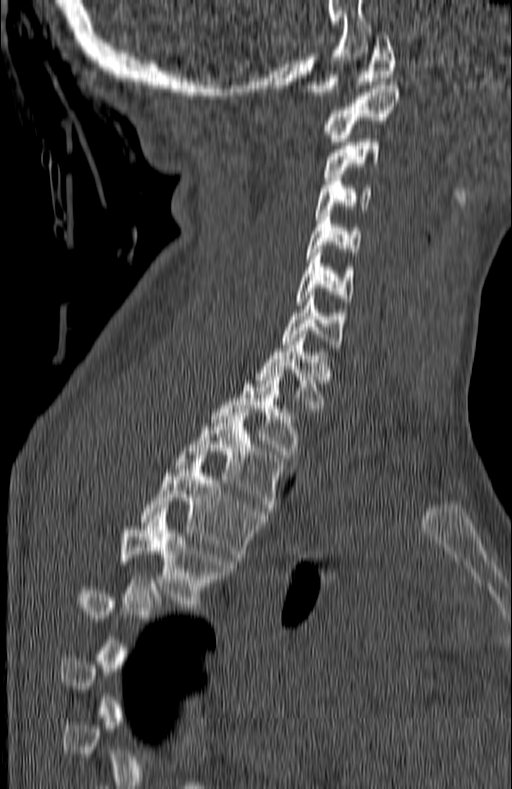
Computed tomography of the spine — sagittal reformat — image width 180 mm
A vertebra gets a box only on the slices from the first to the last where its cross-section is at least a third of its largest; on a slice outside that range it gets none.
<vertebrae><v name="C1" x1="305" y1="32" x2="395" y2="95"/><v name="C2" x1="325" y1="85" x2="398" y2="141"/><v name="C3" x1="323" y1="139" x2="381" y2="180"/><v name="C4" x1="315" y1="181" x2="373" y2="216"/><v name="C5" x1="305" y1="217" x2="361" y2="259"/><v name="C6" x1="297" y1="249" x2="353" y2="305"/><v name="C7" x1="283" y1="299" x2="344" y2="351"/><v name="T1" x1="255" y1="334" x2="333" y2="415"/><v name="T2" x1="211" y1="373" x2="304" y2="458"/><v name="T3" x1="174" y1="412" x2="287" y2="511"/><v name="T4" x1="140" y1="459" x2="264" y2="561"/><v name="T5" x1="120" y1="512" x2="233" y2="611"/></vertebrae>